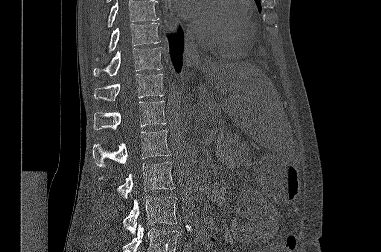 CT, spine · sagittal view · W/L 1800/400 HU

Boxes: x1 y1 x2 y2 (pixel coords, space-separated).
Vertebrae that run past the top or bottom of the scan are left unlabeled.
L3: 123 196 177 234
L2: 98 162 174 198
L1: 92 130 170 166
T12: 93 101 166 129
T11: 94 74 163 101
T10: 93 47 162 76
T9: 96 23 160 60